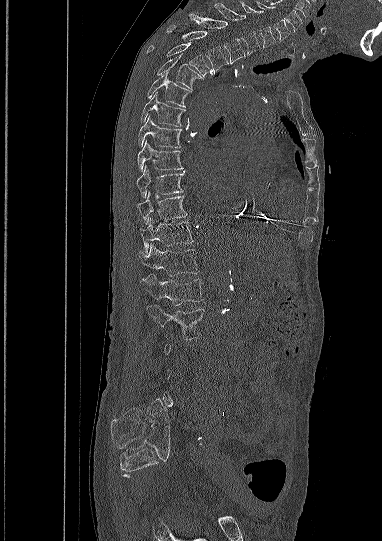
Spine computed tomography; sagittal view; 382 mm across the image; W/L 1800/400 HU
Each vertebra maps to its box as [x1, y1, x2, y2], the pixel coordinates of its top-left and bottom-right corners.
A vertebra gets a box only on the slices from the first to the last where its cross-section is at least a third of its largest; on a slice outside that range it gets none.
{"vertebrae":{"L2":[147,304,204,339],"L1":[141,275,203,305],"T12":[140,243,199,276],"T11":[141,218,193,253],"T10":[137,192,187,224],"T9":[136,165,183,198],"T8":[137,140,182,171],"T7":[138,115,181,147],"T6":[140,92,185,126],"T5":[147,72,191,107],"T4":[157,55,202,90],"T3":[147,43,212,76],"T2":[167,25,228,73],"T1":[189,14,244,63],"C7":[214,2,260,54],"C6":[240,1,275,47],"C5":[257,1,291,41]}}